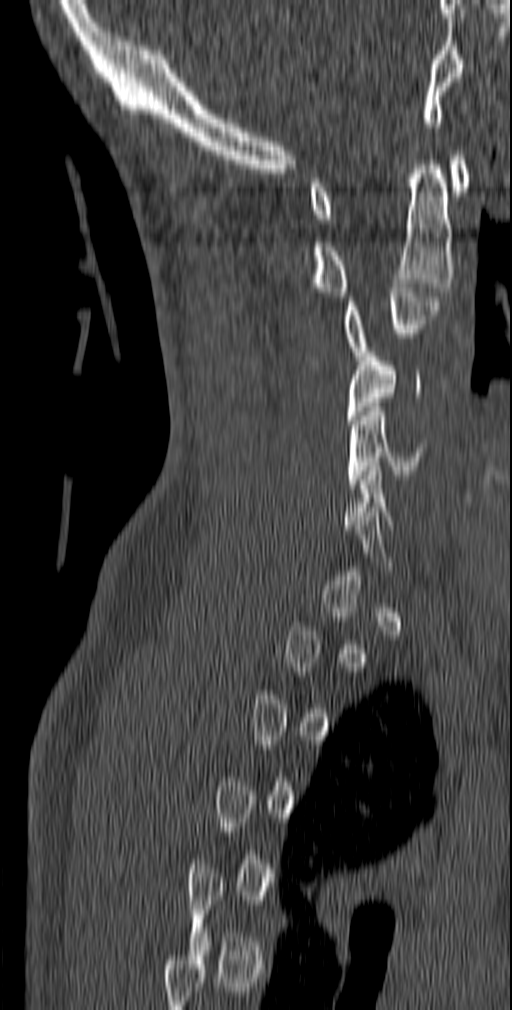
CT. sagittal view. bone-window reconstruction. 512x1010 px
Not every vertebra on this slice has a box: a vertebra is boxed only from the first to the last slice where its cross-section is at least a third of its largest, and this slice is outside that range for at least one of them.
<vertebrae><v name="C1" x1="309" y1="155" x2="470" y2="223"/><v name="C2" x1="309" y1="160" x2="454" y2="301"/><v name="C3" x1="341" y1="283" x2="439" y2="360"/><v name="C4" x1="346" y1="347" x2="421" y2="424"/><v name="C5" x1="347" y1="407" x2="428" y2="488"/></vertebrae>